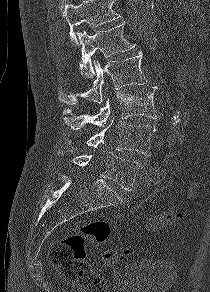 Spine computed tomography · the image is 210 mm wide · sagittal view
Each box given as x1,y1,x2,y2.
A vertebra cut off by the top edge of the scan is not labeled and has no box.
| vertebra | x1 | y1 | x2 | y2 |
|---|---|---|---|---|
| L1 | 78 | 22 | 135 | 77 |
| L2 | 58 | 51 | 147 | 104 |
| L3 | 63 | 86 | 159 | 129 |
| L4 | 63 | 118 | 156 | 155 |
| L5 | 57 | 150 | 140 | 190 |